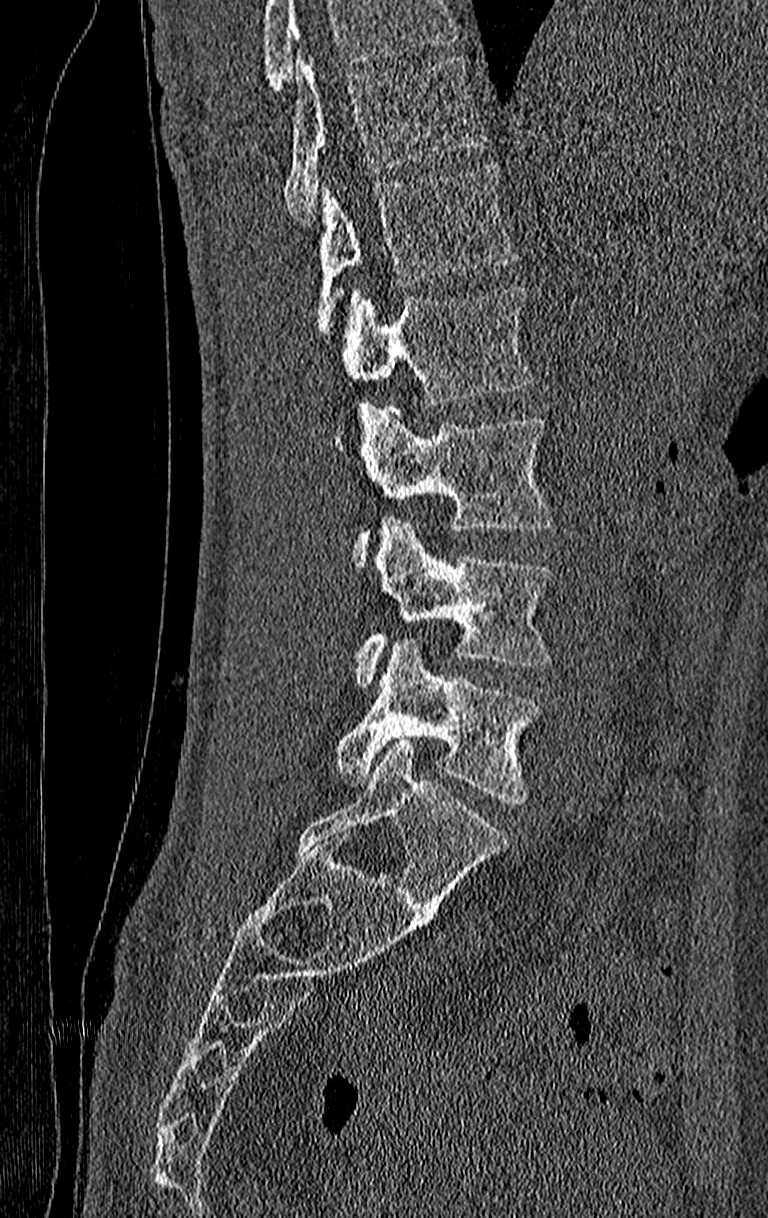
CT; sagittal view; image width 210 mm; W/L 1800/400 HU
Boxes below are [x1, y1, x2, y2] in pixels.
Where the top of the scan cuts through a vertebra, that vertebra gets no label or box.
Labels in this scan begin with T11 at the top and end with L4 at the bottom.
{"vertebrae":{"T11":[284,56,488,223],"T12":[317,166,517,330],"L1":[342,286,532,405],"L2":[353,406,554,563],"L3":[357,517,550,687],"L4":[335,637,539,804]}}